CT. Sagittal slice 332/512. the image is 165 mm wide. bone-window reconstruction
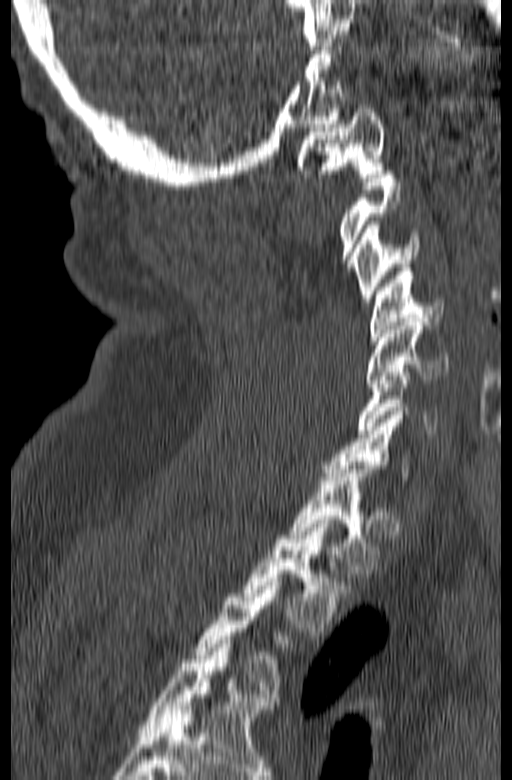

Boxes are (x1, y1, x2, y2) in pixels.
A vertebra gets a box only on the slices from the first to the last where its cross-section is at least a third of its largest; on a slice outside that range it gets none.
C1: (297, 105, 385, 177)
C3: (353, 221, 420, 302)
C4: (370, 268, 444, 340)
C5: (367, 318, 448, 387)
C6: (356, 368, 438, 433)
T1: (287, 465, 379, 569)
T2: (243, 520, 351, 631)